Spine CT; the image spans 180 mm across; sagittal view
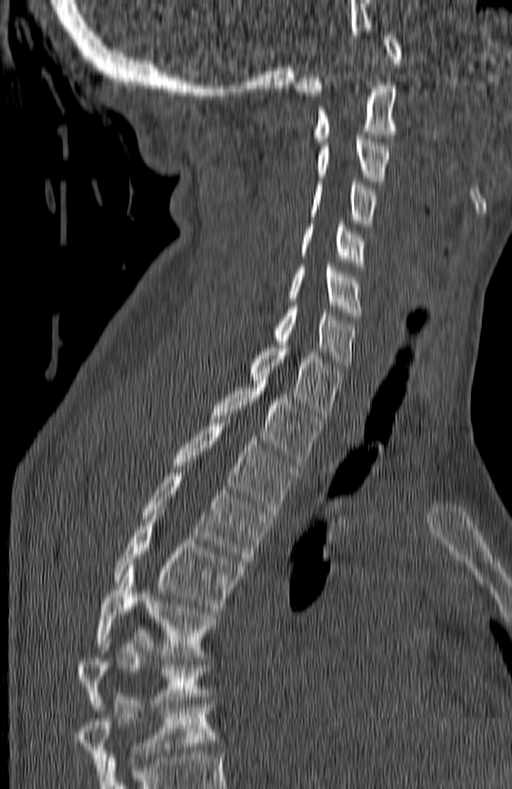
Boxes are (x1, y1, x2, y2) in pixels.
The highest labeled vertebra in this scan is C1; the lowest is T7.
Vertebra bounding boxes:
- C1: (295, 32, 402, 95)
- C2: (314, 85, 395, 141)
- C3: (317, 135, 390, 180)
- C4: (311, 181, 375, 227)
- C5: (302, 224, 364, 266)
- C6: (291, 260, 361, 315)
- C7: (274, 306, 353, 369)
- T1: (251, 341, 341, 419)
- T2: (211, 380, 321, 465)
- T3: (174, 416, 296, 515)
- T4: (140, 469, 273, 564)
- T5: (115, 512, 242, 611)
- T6: (95, 569, 216, 657)
- T7: (75, 633, 207, 710)